CT, spine · sagittal plane, index 265 · W/L 1800/400 HU · 512x789 px
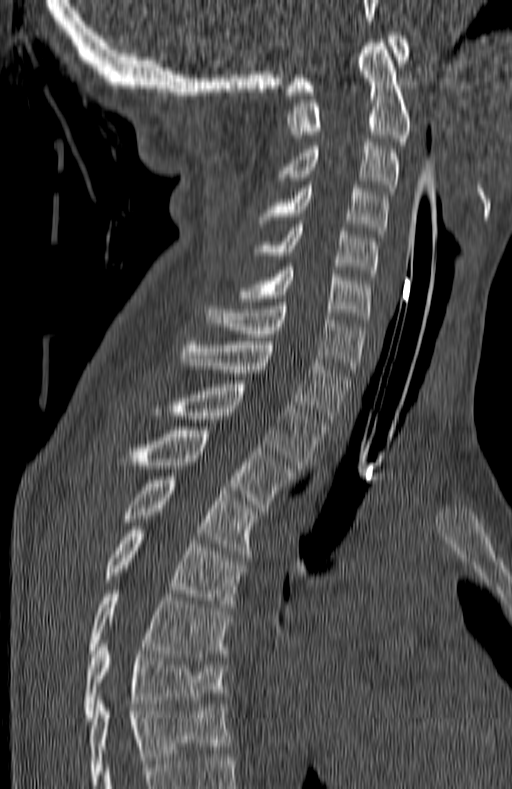 Boxes: x1:y1:x2:y2 in pixels.
This scan's labels start at C1 at the top and end at T7 at the bottom.
Vertebra bounding boxes:
- T7: 83:640:225:721
- T6: 89:590:230:660
- T5: 103:526:245:607
- T4: 118:476:253:554
- T3: 115:430:293:511
- T2: 152:384:324:468
- T1: 180:341:350:422
- C7: 206:302:364:376
- C6: 246:267:370:319
- C5: 254:224:378:276
- C4: 260:185:387:234
- C3: 280:142:398:195
- C2: 288:43:410:141
- C1: 286:32:408:95